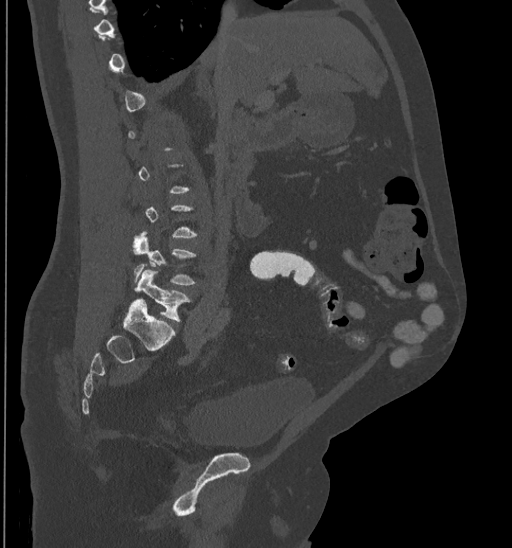

CT — sagittal reformat. Boxes: x1:y1:x2:y2 in pixels.
A vertebra gets a box only on the slices from the first to the last where its cross-section is at least a third of its largest; on a slice outside that range it gets none.
Vertebra bounding boxes:
- L4: 132:231:197:284
- L5: 135:269:191:322